Computed tomography of the spine. Sagittal slice 258/512. bone window. 617x640 px. 17 vertebrae labeled in this scan
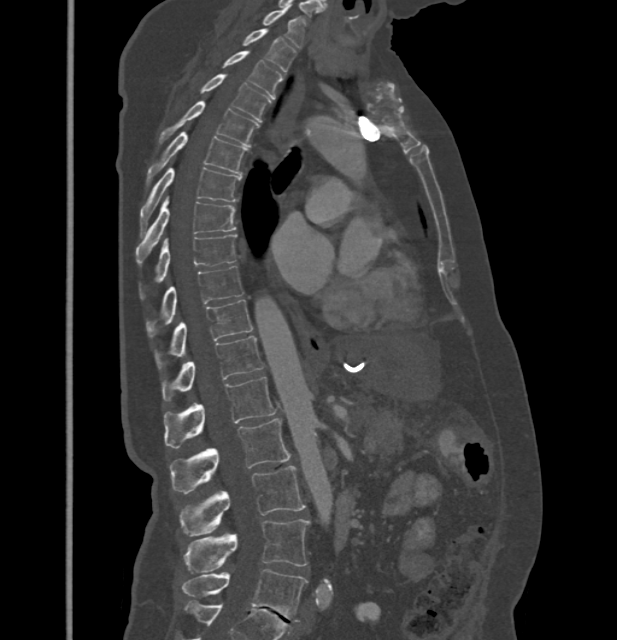
In these labels the thoracic vertebrae end at T11, so L1 follows T11.
<vertebrae><v name="C7" x1="263" y1="9" x2="305" y2="48"/><v name="T1" x1="242" y1="29" x2="296" y2="72"/><v name="T2" x1="223" y1="50" x2="283" y2="98"/><v name="T3" x1="200" y1="75" x2="270" y2="122"/><v name="T4" x1="158" y1="100" x2="259" y2="146"/><v name="T5" x1="147" y1="132" x2="247" y2="185"/><v name="T6" x1="140" y1="167" x2="241" y2="232"/><v name="T7" x1="135" y1="196" x2="236" y2="264"/><v name="T8" x1="141" y1="235" x2="236" y2="296"/><v name="T9" x1="147" y1="266" x2="244" y2="336"/><v name="T10" x1="155" y1="299" x2="252" y2="366"/><v name="T11" x1="163" y1="336" x2="263" y2="401"/><v name="L1" x1="164" y1="376" x2="276" y2="448"/><v name="L2" x1="170" y1="419" x2="291" y2="494"/><v name="L3" x1="180" y1="466" x2="305" y2="536"/><v name="L4" x1="184" y1="519" x2="309" y2="574"/><v name="L5" x1="181" y1="569" x2="306" y2="621"/></vertebrae>